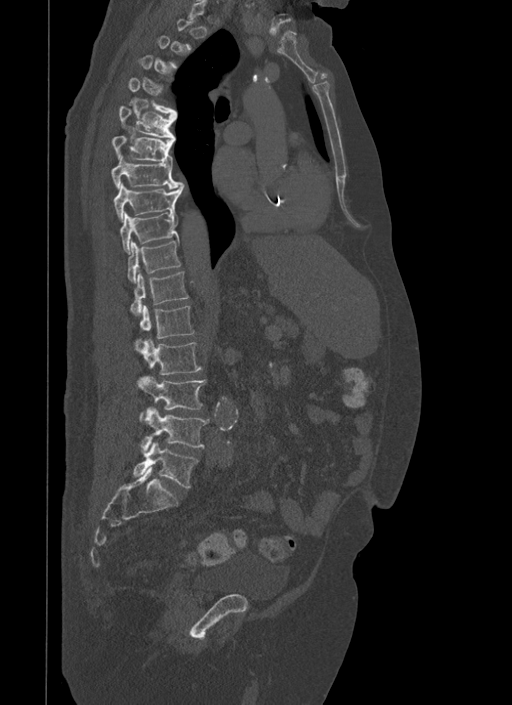

Spine computed tomography · sagittal reformat · bone-window reconstruction · 512x705 px

Boxes are (x1, y1, x2, y2) in pixels. Each vertebra is boxed only on the slices from the first to the last where its cross-section reaches a third of its largest, so a slice outside that range leaves it unboxed. 12 vertebrae labeled — T6 at (118, 105, 175, 139); T7 at (111, 135, 173, 163); T8 at (110, 156, 181, 188); T9 at (113, 183, 184, 221); T10 at (120, 212, 178, 253); T11 at (127, 239, 181, 282); T12 at (131, 270, 189, 314); L1 at (136, 305, 194, 345); L2 at (136, 338, 202, 375); L3 at (137, 376, 206, 419); L4 at (142, 407, 208, 451); L5 at (134, 442, 198, 487).